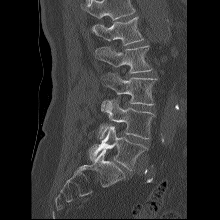 CT spine. sagittal reformat. bone window. 220x220 px. 220 mm wide
Each box given as x1,y1,x2,y2.
A vertebra cut off by the top edge of the scan is not labeled and has no box.
L5: x1=89, y1=126, x2=147, y2=170
L4: x1=99, y1=100, x2=154, y2=139
L3: x1=102, y1=72, x2=157, y2=105
L2: x1=95, y1=45, x2=152, y2=73
L1: x1=91, y1=17, x2=143, y2=45